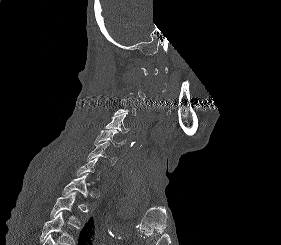
CT spine; sagittal view; bone window; part of the scan has been removed (filled with constant black)

Each box given as x1,y1,x2,y2.
Not every vertebra on this slice has a box: a vertebra is boxed only from the first to the last slice where its cross-section is at least a third of its largest, and this slice is outside that range for at least one of them.
A vertebra cut off by the bottom edge of the scan is not labeled and has no box.
| vertebra | x1 | y1 | x2 | y2 |
|---|---|---|---|---|
| C4 | 105 | 112 | 130 | 133 |
| C5 | 94 | 130 | 126 | 146 |
| C6 | 87 | 141 | 117 | 165 |
| T1 | 62 | 173 | 90 | 197 |
| T2 | 50 | 191 | 82 | 228 |